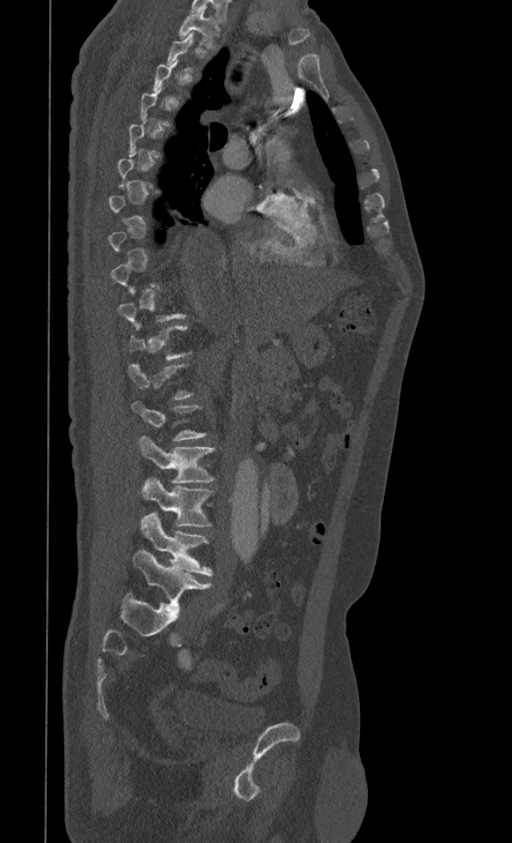 Spine CT; sagittal view

In the table, x1 and y1 are a box's top-left corner and x2 and y2 its bottom-right corner, in pixels.
A vertebra is boxed only from the first to the last slice where its cross-section is at least a third of its largest; slices outside that range leave it without a box.
| vertebra | x1 | y1 | x2 | y2 |
|---|---|---|---|---|
| L5 | 133 | 551 | 211 | 611 |
| L4 | 141 | 513 | 212 | 575 |
| L3 | 141 | 477 | 213 | 527 |
| L2 | 138 | 435 | 214 | 483 |
| T1 | 179 | 9 | 220 | 49 |